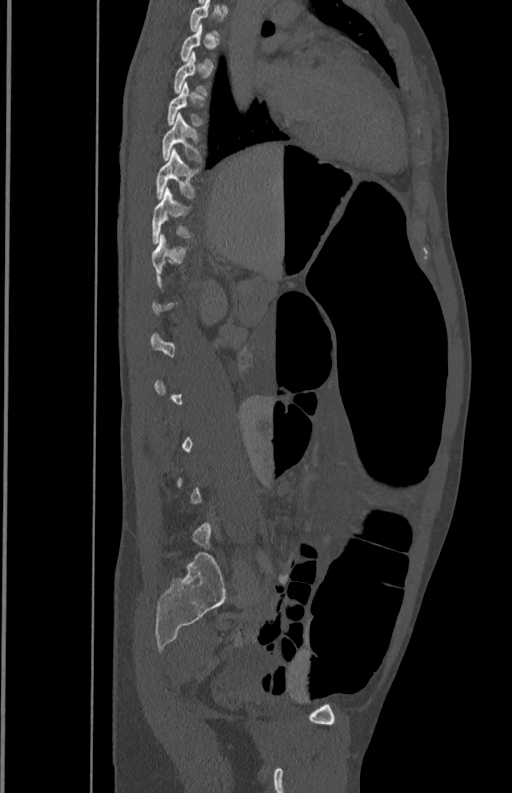

Spine computed tomography. the image is 350 mm wide. sagittal view. bone window

Each box is [x1, y1, x2, y2] in pixels: top-left corner, then bottom-right corner.
Not every vertebra on this slice has a box: a vertebra is boxed only from the first to the last slice where its cross-section is at least a third of its largest, and this slice is outside that range for at least one of them.
{"vertebrae":{"T7":[172,51,208,95],"T8":[167,82,204,124],"T9":[161,113,204,162],"T10":[155,149,201,199],"T11":[152,188,193,243]}}